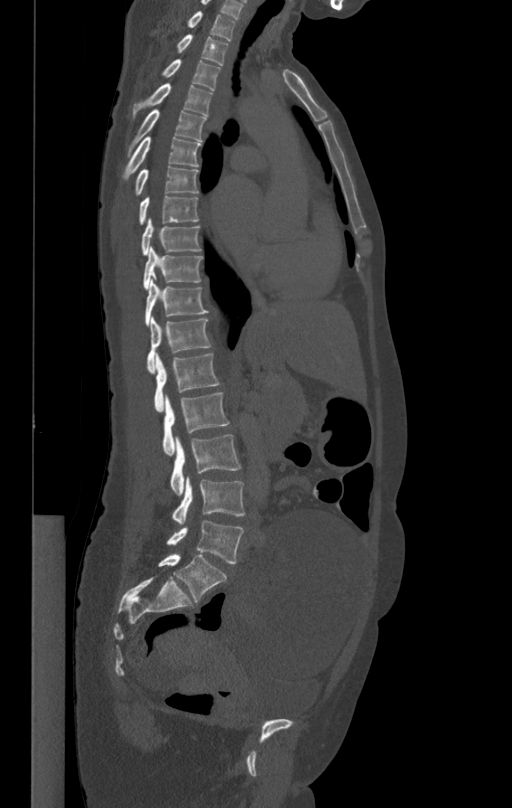
Computed tomography of the spine; sagittal reformat; Bone window (WL 400, WW 1800); 512x808 px. Coordinates as <box>x1,y1,x2,y2</box>. The labeled vertebrae in this slice are: T1 at <box>188,11,235,39</box>, T2 at <box>176,35,228,65</box>, T3 at <box>161,59,220,90</box>, T4 at <box>132,83,213,120</box>, T5 at <box>128,110,206,156</box>, T6 at <box>123,136,200,179</box>, T7 at <box>135,167,198,194</box>, T8 at <box>139,196,198,224</box>, T9 at <box>142,217,200,255</box>, T10 at <box>143,247,203,289</box>, T11 at <box>145,280,208,324</box>, T12 at <box>147,317,210,373</box>, L1 at <box>154,352,220,412</box>, L2 at <box>163,393,229,455</box>, L3 at <box>170,435,241,494</box>, L4 at <box>173,475,245,525</box>, L5 at <box>166,520,244,563</box>.